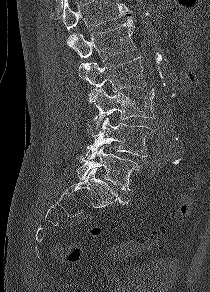
Spine CT; sagittal view; bone-window reconstruction
Each box is [x1, y1, x2, y2] in pixels: top-left corner, then bottom-right corner.
No box is given to a vertebra that the top edge of the scan cuts off.
{"vertebrae":{"L5":[76,145,139,190],"L4":[84,117,154,159],"L3":[85,88,155,136],"L2":[78,56,146,92],"L1":[67,18,136,61]}}